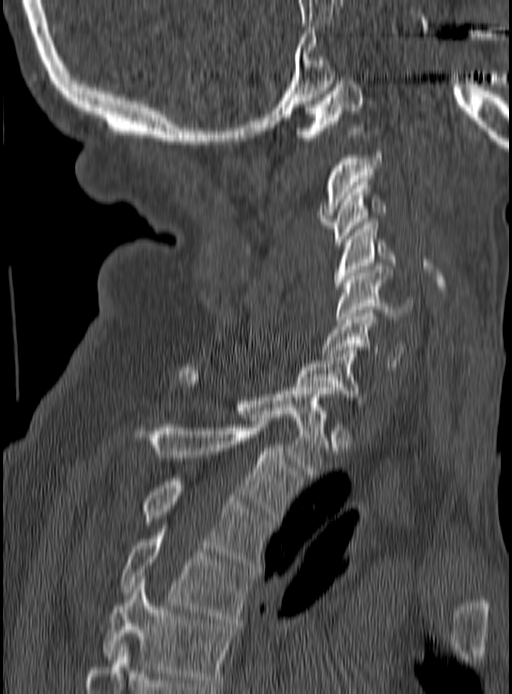 Computed tomography of the spine; sagittal view

Boxes are (x1, y1, x2, y2) in pixels.
C1: (295, 81, 364, 140)
C2: (319, 152, 383, 228)
C3: (330, 182, 386, 245)
C4: (335, 222, 396, 289)
C5: (335, 266, 413, 322)
C6: (321, 310, 407, 370)
C7: (297, 350, 369, 403)
T1: (179, 364, 326, 477)
T2: (149, 424, 302, 521)
T3: (144, 478, 272, 565)
T4: (119, 529, 253, 622)
T5: (103, 579, 232, 686)